Computed tomography of the spine · sagittal plane, index 274 · 617x640 px
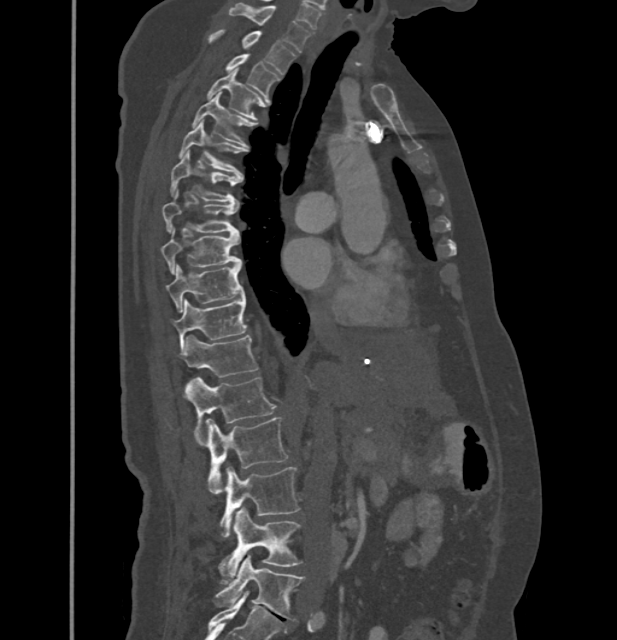

Each box given as x1,y1,x2,y2.
In these labels the thoracic vertebrae end at T11, so L1 follows T11.
L5: x1=215, y1=555, x2=303, y2=619
L4: x1=218, y1=507, x2=300, y2=584
L3: x1=219, y1=467, x2=299, y2=536
L2: x1=204, y1=417, x2=287, y2=494
L1: x1=184, y1=377, x2=275, y2=435
T11: x1=183, y1=335, x2=257, y2=376
T10: x1=172, y1=296, x2=246, y2=352
T9: x1=165, y1=263, x2=244, y2=312
T8: x1=162, y1=230, x2=240, y2=274
T7: x1=162, y1=190, x2=239, y2=234
T6: x1=170, y1=152, x2=238, y2=202
T5: x1=178, y1=122, x2=241, y2=175
T4: x1=193, y1=93, x2=253, y2=146
T3: x1=207, y1=70, x2=262, y2=119
T2: x1=225, y1=53, x2=279, y2=96
T1: x1=209, y1=30, x2=294, y2=74
C7: x1=229, y1=3, x2=310, y2=52